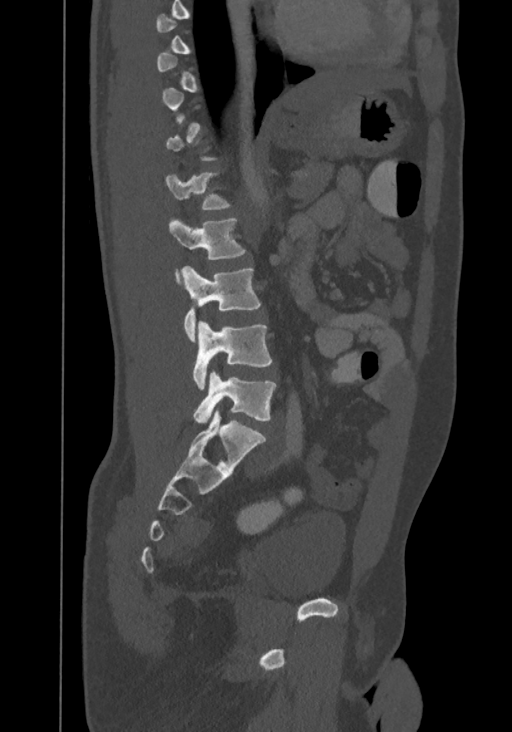 CT, spine. sagittal view. 512x732 px

Box edges are left/top/right/bottom in pixels. Each vertebra is boxed only on the slices from the first to the last where its cross-section reaches a third of its largest, so a slice outside that range leaves it unboxed. This scan's labels start at T8 at the top and end at L4 at the bottom. Vertebrae labeled: T12 at left=166, top=173, right=230, bottom=210, L1 at left=169, top=217, right=246, bottom=283, L2 at left=181, top=266, right=261, bottom=341, L3 at left=192, top=320, right=272, bottom=389, L4 at left=194, top=370, right=276, bottom=425.